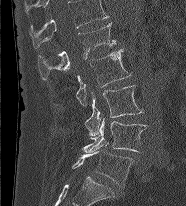

Spine computed tomography · sagittal view · bone-window reconstruction

Boxes are (x1, y1, x2, y2) in pixels.
In this scan, the topmost labeled vertebra is L1 and the lowest is L5.
L1: (38, 23, 116, 79)
L2: (48, 49, 131, 106)
L3: (84, 85, 143, 138)
L4: (82, 118, 148, 153)
L5: (72, 142, 134, 187)